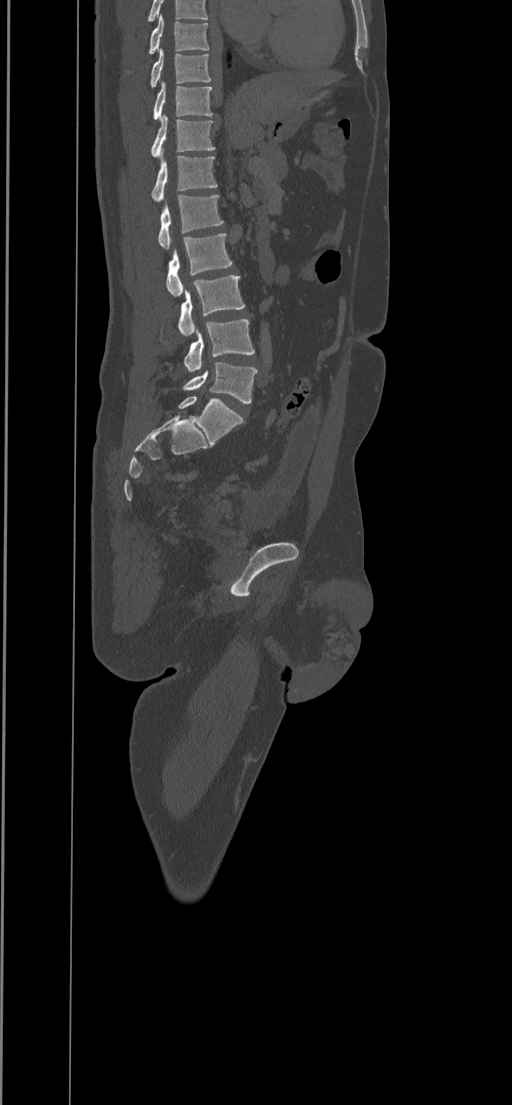 CT, spine. sagittal view. Coordinates as <box>x1,y1,x2,y2</box>.
Labels in this scan begin with T8 at the top and end with L5 at the bottom.
L5: <box>183,362,257,402</box>
L4: <box>184,319,254,372</box>
L3: <box>178,275,244,336</box>
L2: <box>166,234,231,296</box>
L1: <box>158,194,223,250</box>
T12: <box>151,149,217,201</box>
T11: <box>151,115,215,157</box>
T10: <box>153,82,212,120</box>
T9: <box>150,49,211,87</box>
T8: <box>149,14,209,53</box>